CT spine · sagittal view
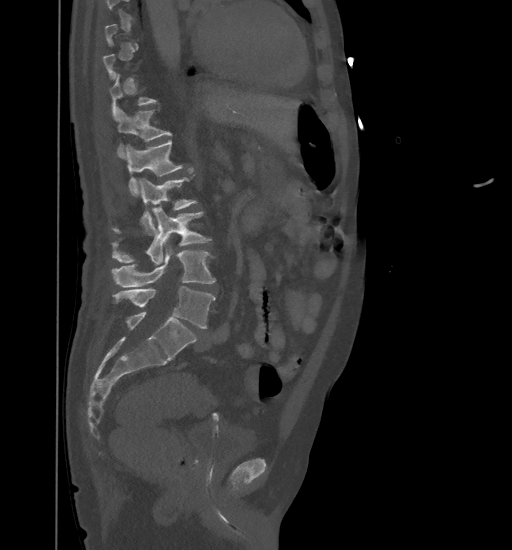 Boxes are given in columns x1, y1, x2, y2, the pixel coordinates of their top-left and bottom-right corners.
Not every vertebra on this slice has a box: a vertebra is boxed only from the first to the last slice where its cross-section is at least a third of its largest, and this slice is outside that range for at least one of them.
| vertebra | x1 | y1 | x2 | y2 |
|---|---|---|---|---|
| T12 | 117 | 108 | 171 | 157 |
| L1 | 126 | 140 | 183 | 196 |
| L2 | 111 | 175 | 197 | 234 |
| L3 | 111 | 206 | 212 | 264 |
| L4 | 112 | 245 | 215 | 287 |
| L5 | 113 | 287 | 215 | 328 |